Spine computed tomography. sagittal view. W/L 1800/400 HU. 576x488 px. 360 mm across the image. 12 vertebrae labeled in this scan
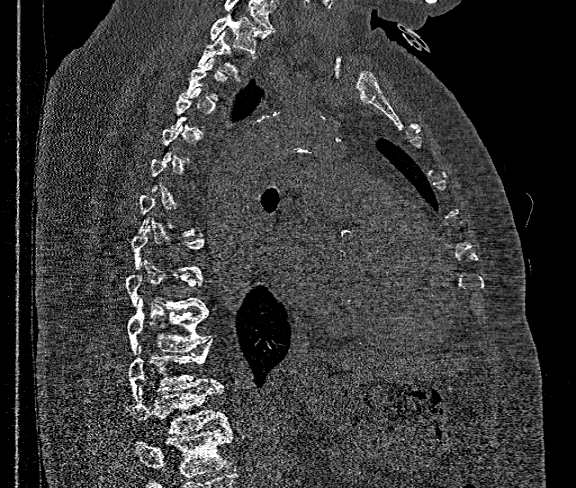 Boxes: x1 y1 x2 y2 (pixel coords, space-separated).
A vertebra gets a box only on the slices from the first to the last where its cross-section is at least a third of its largest; on a slice outside that range it gets none.
Vertebrae that run past the bottom of the scan are left unlabeled.
Vertebra bounding boxes:
- T1: 210 8 268 52
- T2: 198 31 253 78
- T10: 128 300 210 353
- T11: 128 340 216 398
- T12: 130 384 231 433